Computed tomography of the spine · Sagittal slice 236/512 · 388 mm wide · bone window
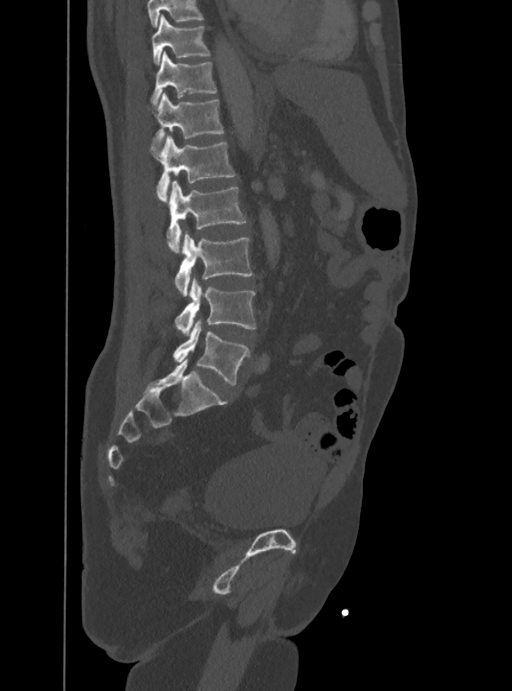

Boxes are given in columns x1, y1, x2, y2, the pixel coordinates of their top-left and bottom-right corners.
No box is given to a vertebra that the top edge of the scan cuts off.
| vertebra | x1 | y1 | x2 | y2 |
|---|---|---|---|---|
| T10 | 152 | 14 | 210 | 64 |
| T11 | 150 | 51 | 217 | 106 |
| T12 | 152 | 93 | 223 | 152 |
| L1 | 150 | 135 | 235 | 201 |
| L2 | 166 | 181 | 246 | 252 |
| L3 | 174 | 232 | 252 | 296 |
| L4 | 175 | 278 | 256 | 334 |
| L5 | 173 | 321 | 250 | 384 |